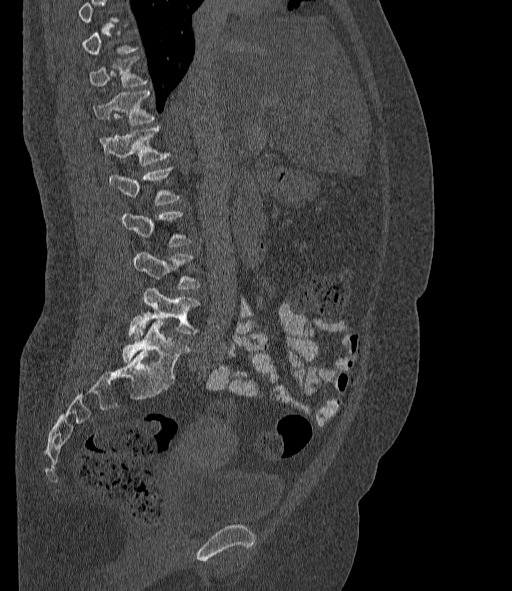
CT spine · sagittal view · 512x591 px
Boxes are (x1, y1, x2, y2) in pixels.
Not every vertebra on this slice has a box: a vertebra is boxed only from the first to the last slice where its cross-section is at least a third of its largest, and this slice is outside that range for at least one of them.
The labels name a sixth lumbar vertebra for this spine: L6, after L5.
Vertebra bounding boxes:
- T11: (89, 57, 145, 87)
- T12: (94, 90, 154, 125)
- L1: (102, 128, 167, 165)
- L2: (108, 167, 178, 204)
- L4: (133, 253, 198, 288)
- L5: (129, 288, 198, 337)
- L6: (122, 321, 189, 379)